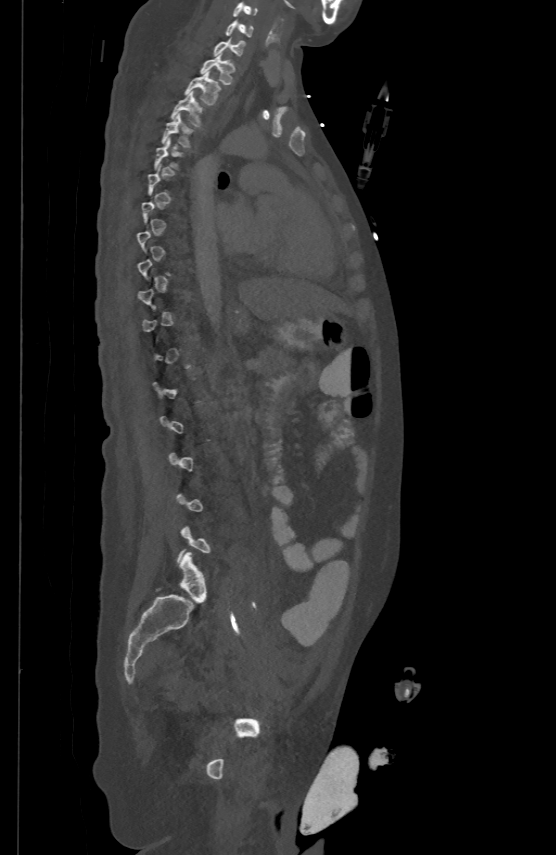 CT spine — sagittal reformat — bone-window reconstruction — 500 mm image width
A vertebra gets a box only on the slices from the first to the last where its cross-section is at least a third of its largest; on a slice outside that range it gets none.
<vertebrae><v name="T4" x1="162" y1="113" x2="192" y2="146"/><v name="T3" x1="171" y1="91" x2="202" y2="125"/><v name="T2" x1="184" y1="71" x2="220" y2="104"/><v name="T1" x1="200" y1="52" x2="234" y2="83"/><v name="C7" x1="214" y1="37" x2="244" y2="54"/><v name="C6" x1="226" y1="19" x2="252" y2="35"/><v name="C5" x1="233" y1="1" x2="257" y2="15"/></vertebrae>